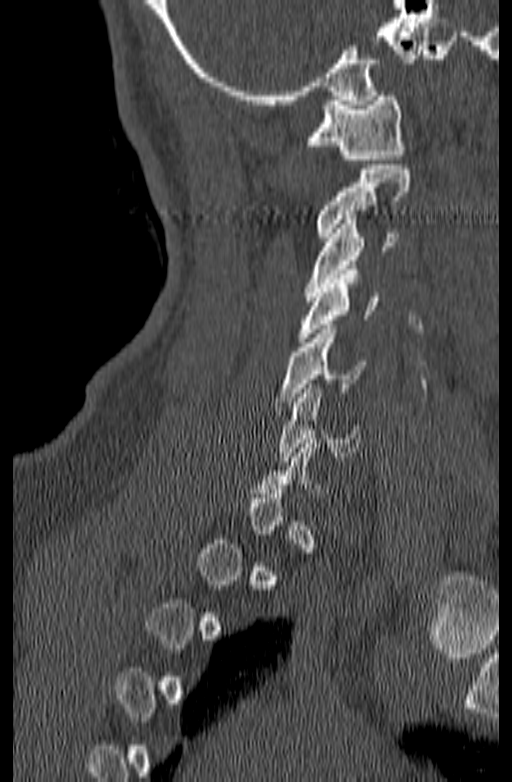

CT spine · sagittal view · Bone window (WL 400, WW 1800)
Each box is [x1, y1, x2, y2] in pixels: top-left corner, then bottom-right corner.
A vertebra gets a box only on the slices from the first to the last where its cross-section is at least a third of its largest; on a slice outside that range it gets none.
{"vertebrae":{"C6":[279,384,361,461],"C5":[276,325,366,406],"C4":[295,270,380,342],"C3":[305,215,398,301],"C2":[316,165,410,237],"C1":[305,91,405,164]}}